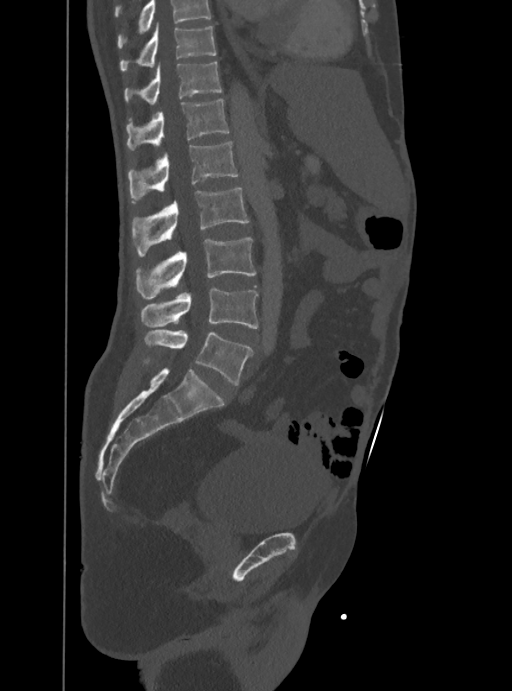
CT. image width 388 mm. sagittal reformat. W/L 1800/400 HU. 512x691 px
Where the top of the scan cuts through a vertebra, that vertebra gets no label or box.
<vertebrae><v name="T10" x1="120" y1="23" x2="217" y2="71"/><v name="T11" x1="125" y1="62" x2="222" y2="104"/><v name="T12" x1="127" y1="99" x2="228" y2="150"/><v name="L1" x1="128" y1="141" x2="238" y2="202"/><v name="L2" x1="132" y1="188" x2="248" y2="257"/><v name="L3" x1="136" y1="238" x2="256" y2="298"/><v name="L4" x1="141" y1="287" x2="257" y2="329"/><v name="L5" x1="144" y1="330" x2="251" y2="384"/></vertebrae>